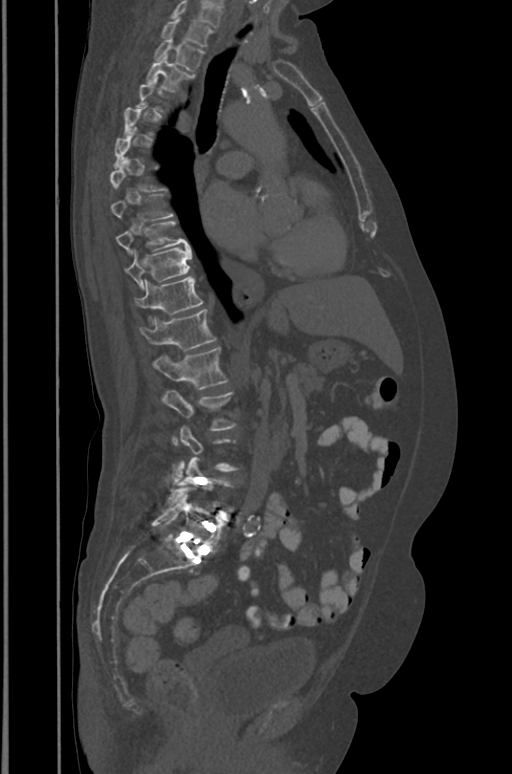 CT, spine; sagittal view; 512x774 px
Coordinates as <box>x1,y1,x2,y2</box>.
A vertebra is boxed only from the first to the last slice where its cross-section is at least a third of its largest; slices outside that range leave it without a box.
In this scan, the topmost labeled vertebra is T1 and the lowest is L5.
T1: <box>161,17,211,47</box>
T2: <box>154,38,203,71</box>
T3: <box>147,56,193,91</box>
T9: <box>115,221,189,250</box>
T10: <box>124,247,192,286</box>
T11: <box>134,277,202,315</box>
T12: <box>140,308,215,349</box>
L1: <box>152,347,227,389</box>
L2: <box>162,390,235,430</box>
L5: <box>152,490,223,552</box>